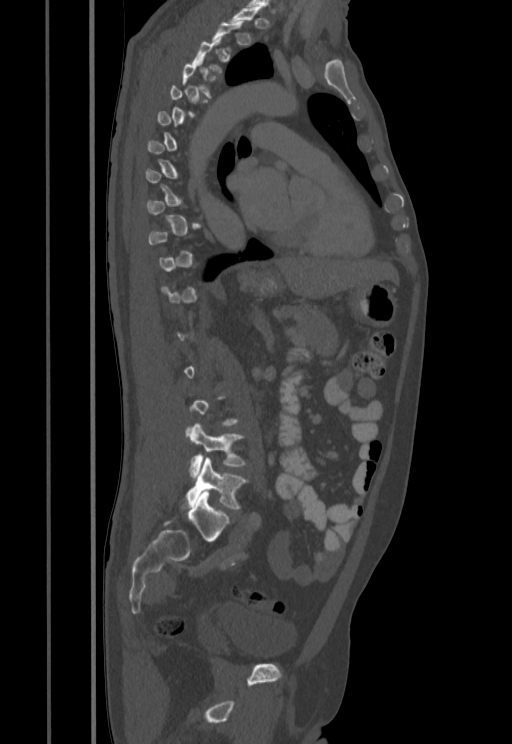 Spine computed tomography. sagittal view. the image is 455 mm wide. bone window
Boxes below are [x1, y1, x2, y2] in pixels.
Not every vertebra on this slice has a box: a vertebra is boxed only from the first to the last slice where its cross-section is at least a third of its largest, and this slice is outside that range for at least one of them.
{"vertebrae":{"L4":[187,423,246,477],"L5":[183,457,248,510]}}